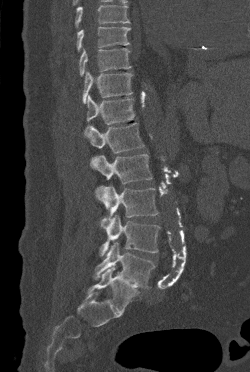

Spine computed tomography — sagittal view — bone-window reconstruction
Each box is [x1, y1, x2, y2] in pixels: top-left corner, then bottom-right corner.
Vertebrae that run past the top of the scan are left unlabeled.
{"vertebrae":{"T9":[77,26,130,51],"T10":[79,48,131,76],"T11":[82,71,133,103],"T12":[84,95,134,134],"L1":[87,122,144,153],"L2":[90,154,152,184],"L3":[95,185,158,221],"L4":[99,214,160,256],"L5":[93,242,155,288]}}